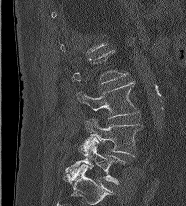
CT, spine — 186 mm wide — sagittal view — Bone window (WL 400, WW 1800)
Boxes: x1 y1 x2 y2 (pixel coords, space-separated). A vertebra is boxed only from the first to the last slice where its cross-section is at least a third of its largest; slices outside that range leave it without a box. Vertebrae labeled: L3 at 77 82 139 118, L4 at 82 118 143 156, L5 at 65 137 125 184.